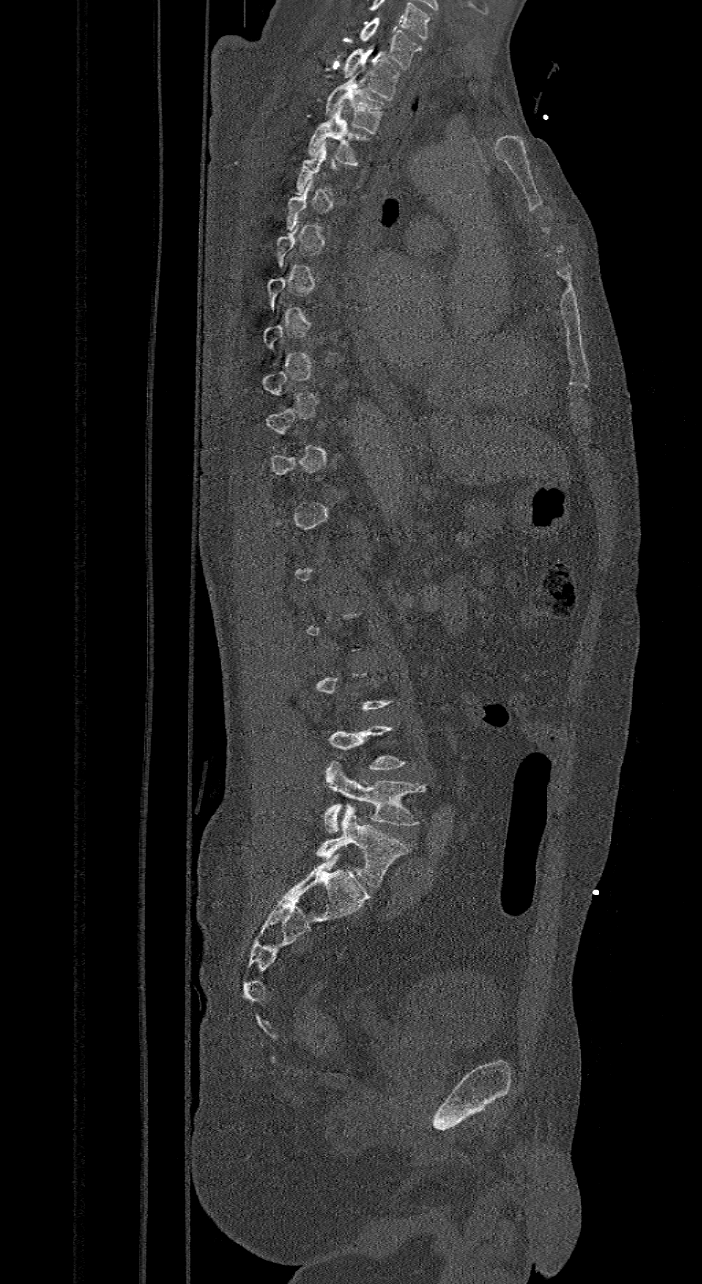
Computed tomography of the spine; sagittal view

Each row gives a vertebra's box as x1, y1, x2, y2 in pixels: top-left corner, then bottom-right corner.
A vertebra gets a box only on the slices from the first to the last where its cross-section is at least a third of its largest; on a slice outside that range it gets none.
In this scan, the topmost labeled vertebra is C7 and the lowest is L6.
The labels name a sixth lumbar vertebra for this spine: L6, after L5.
| vertebra | x1 | y1 | x2 | y2 |
|---|---|---|---|---|
| L6 | 317 | 804 | 407 | 887 |
| L5 | 323 | 761 | 424 | 832 |
| T3 | 308 | 105 | 368 | 165 |
| T2 | 325 | 72 | 384 | 133 |
| T1 | 341 | 49 | 399 | 100 |
| C7 | 360 | 17 | 421 | 68 |